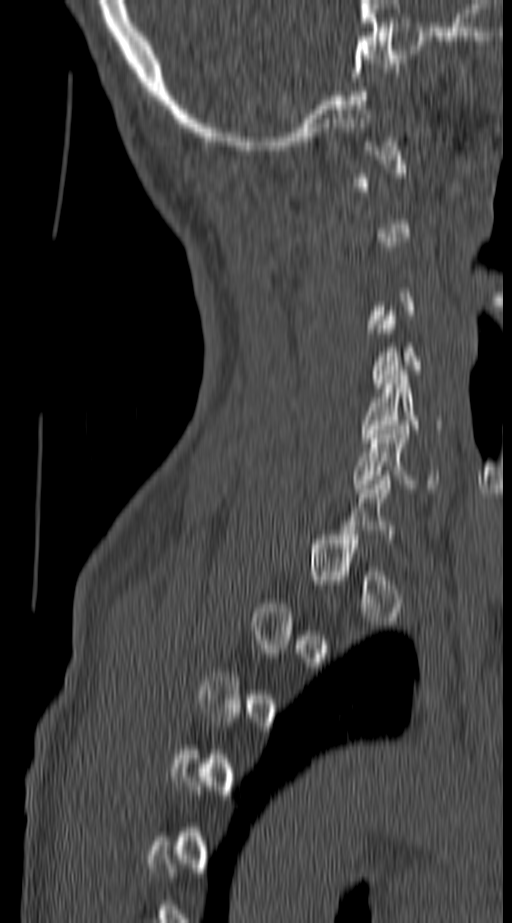

Computed tomography of the spine. sagittal view. W/L 1800/400 HU. 512x923 px

Boxes: x1 y1 x2 y2 (pixel coords, space-separated).
Not every vertebra on this slice has a box: a vertebra is boxed only from the first to the last slice where its cross-section is at least a third of its largest, and this slice is outside that range for at least one of them.
Vertebra bounding boxes:
- C5: 361 370 443 442
- C6: 352 425 439 493